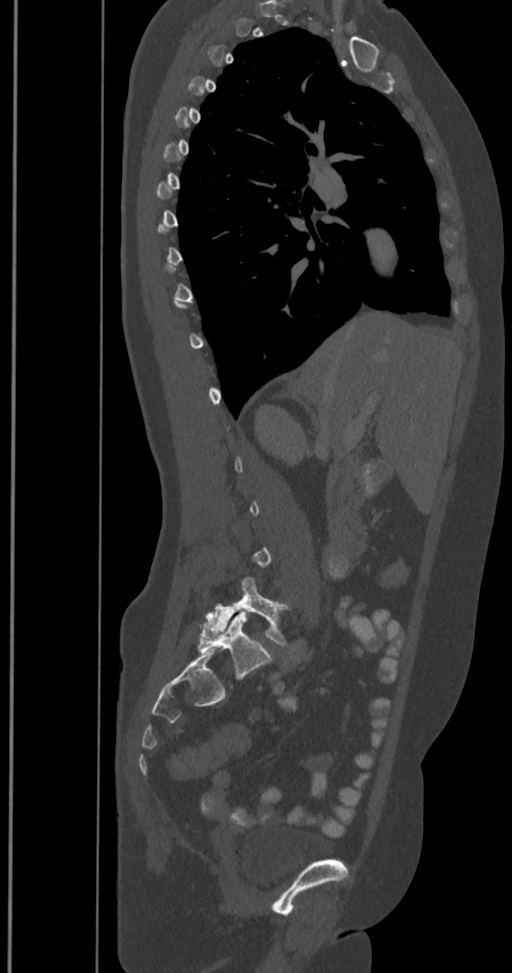
CT spine. sagittal view. 512x973 px
Boxes are given in columns x1, y1, x2, y2, the pixel coordinates of their top-left and bottom-right corners.
A vertebra gets a box only on the slices from the first to the last where its cross-section is at least a third of its largest; on a slice outside that range it gets none.
The labels name a sixth lumbar vertebra for this spine: L6, after L5.
| vertebra | x1 | y1 | x2 | y2 |
|---|---|---|---|---|
| L5 | 201 | 577 | 287 | 645 |
| L6 | 197 | 611 | 271 | 677 |